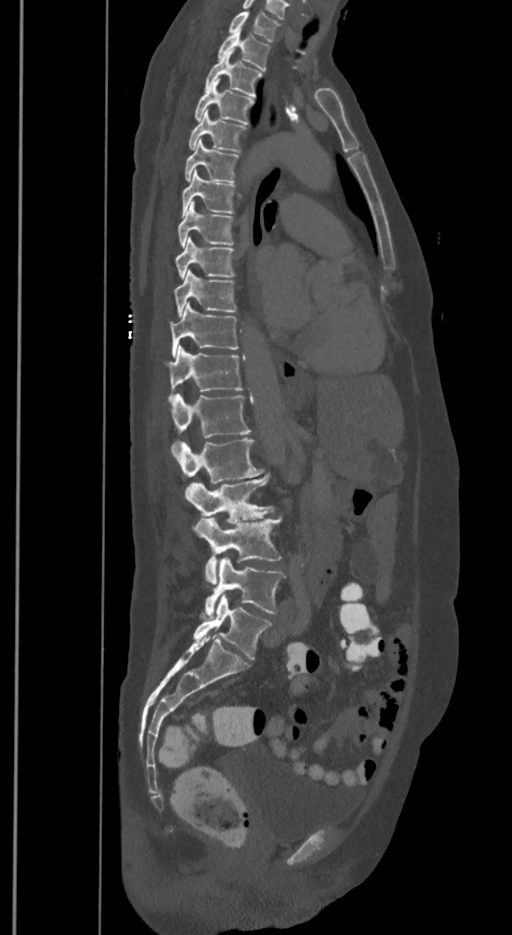
CT, spine · sagittal view · bone-window reconstruction · the image spans 350 mm across · 512x935 px

Bounding boxes as [x1, y1, x2, y2] in pixel coordinates.
These labels give the spine a sixth lumbar vertebra, L6, below L5.
Vertebra bounding boxes:
- T1: [228, 12, 280, 41]
- T2: [218, 29, 269, 71]
- T3: [205, 50, 262, 98]
- T4: [194, 79, 253, 124]
- T5: [188, 112, 246, 152]
- T6: [184, 140, 239, 182]
- T7: [183, 170, 234, 216]
- T8: [178, 201, 234, 247]
- T9: [175, 237, 234, 278]
- T10: [174, 270, 237, 316]
- T11: [169, 301, 239, 357]
- T12: [167, 346, 242, 401]
- L1: [171, 394, 250, 455]
- L2: [177, 437, 264, 483]
- L3: [187, 474, 274, 523]
- L4: [194, 516, 281, 586]
- L5: [205, 557, 284, 615]
- L6: [194, 594, 271, 659]